Spine CT — Sagittal slice 251/512 — bone window — 17 vertebrae labeled in this scan
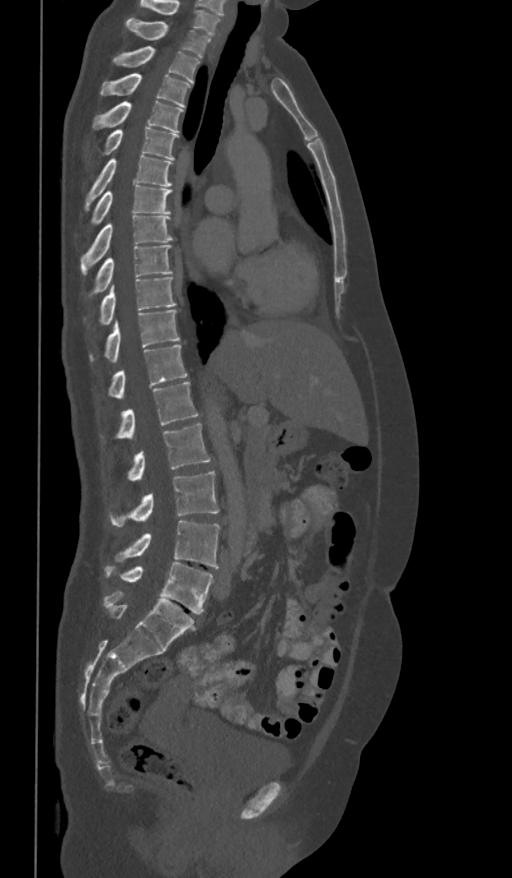
The highest labeled vertebra in this scan is T1; the lowest is L5.
<vertebrae><v name="T1" x1="126" y1="18" x2="210" y2="58"/><v name="T2" x1="113" y1="46" x2="199" y2="83"/><v name="T3" x1="100" y1="73" x2="190" y2="106"/><v name="T4" x1="92" y1="101" x2="183" y2="133"/><v name="T5" x1="99" y1="128" x2="177" y2="159"/><v name="T6" x1="85" y1="154" x2="172" y2="210"/><v name="T7" x1="91" y1="185" x2="172" y2="226"/><v name="T8" x1="81" y1="214" x2="173" y2="275"/><v name="T9" x1="89" y1="244" x2="172" y2="298"/><v name="T10" x1="99" y1="277" x2="176" y2="324"/><v name="T11" x1="89" y1="310" x2="179" y2="363"/><v name="T12" x1="108" y1="345" x2="187" y2="399"/><v name="L1" x1="116" y1="382" x2="199" y2="439"/><v name="L2" x1="127" y1="423" x2="210" y2="480"/><v name="L3" x1="110" y1="471" x2="219" y2="526"/><v name="L4" x1="115" y1="521" x2="220" y2="568"/><v name="L5" x1="105" y1="562" x2="213" y2="613"/></vertebrae>